CT · sagittal view · bone-window reconstruction · 17 vertebrae labeled in this scan
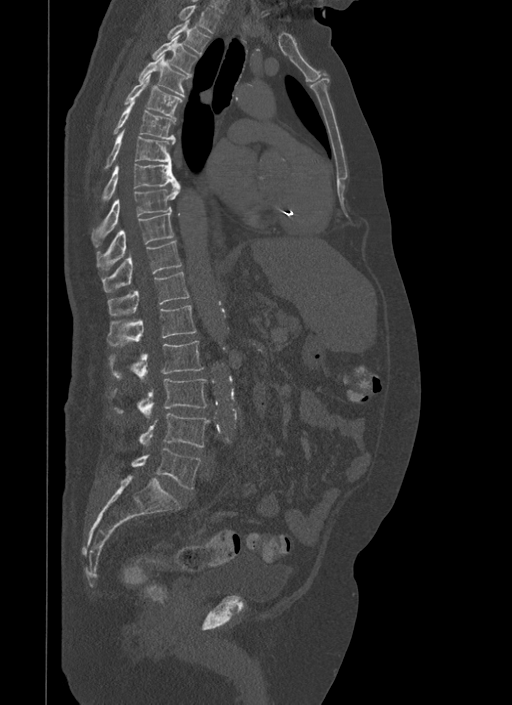

<vertebrae><v name="L5" x1="132" y1="447" x2="200" y2="488"/><v name="L4" x1="140" y1="413" x2="210" y2="446"/><v name="L3" x1="110" y1="378" x2="207" y2="418"/><v name="L2" x1="109" y1="341" x2="204" y2="379"/><v name="L1" x1="107" y1="305" x2="197" y2="346"/><v name="T12" x1="107" y1="271" x2="189" y2="315"/><v name="T11" x1="101" y1="241" x2="182" y2="292"/><v name="T10" x1="96" y1="213" x2="173" y2="268"/><v name="T9" x1="91" y1="183" x2="181" y2="247"/><v name="T8" x1="102" y1="163" x2="180" y2="202"/><v name="T7" x1="104" y1="129" x2="175" y2="169"/><v name="T6" x1="113" y1="100" x2="175" y2="138"/><v name="T5" x1="123" y1="74" x2="183" y2="119"/><v name="T4" x1="138" y1="53" x2="187" y2="96"/><v name="T3" x1="153" y1="35" x2="197" y2="77"/><v name="T2" x1="167" y1="19" x2="210" y2="56"/><v name="T1" x1="178" y1="5" x2="219" y2="33"/></vertebrae>